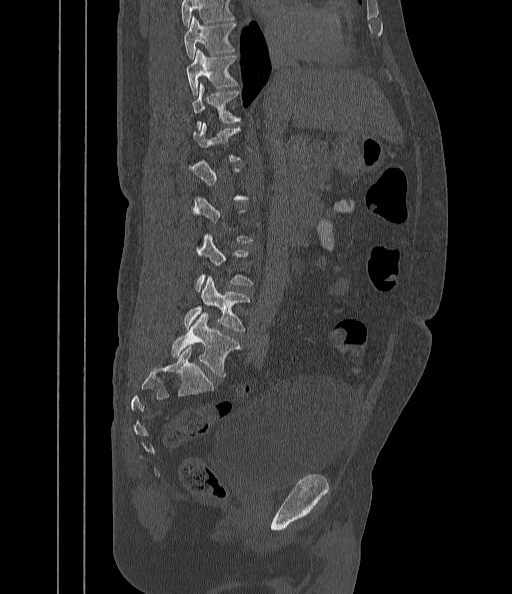

Spine computed tomography — 442 mm across the image — sagittal view
Boxes are (x1, y1, x2, y2) in pixels.
Not every vertebra on this slice has a box: a vertebra is boxed only from the first to the last slice where its cross-section is at least a third of its largest, and this slice is outside that range for at least one of them.
No box is given to a vertebra that the top edge of the scan cuts off.
L5: (171, 313, 241, 376)
L4: (184, 276, 248, 331)
T11: (191, 83, 239, 128)
T10: (185, 50, 236, 93)
T9: (183, 16, 235, 58)